Spine CT. sagittal plane, index 281. Bone window (WL 400, WW 1800). 512x789 px
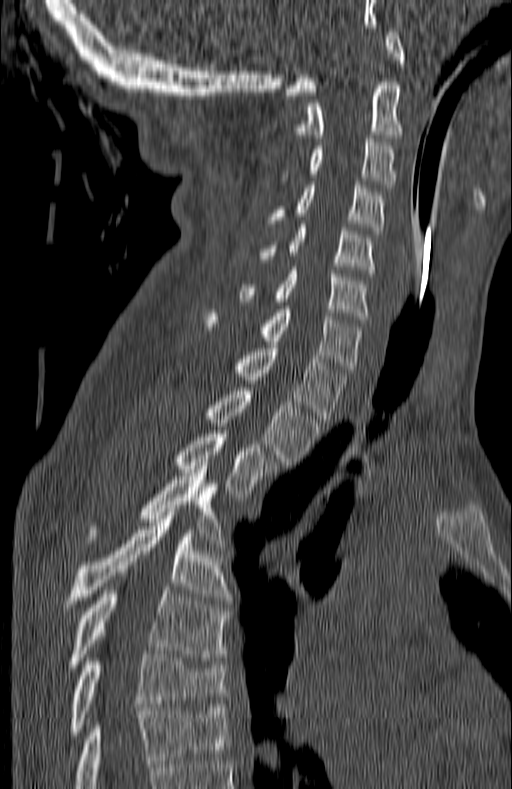

Boxes: x1 y1 x2 y2 (pixel coords, space-separated).
The highest labeled vertebra in this scan is C1; the lowest is T7.
C1: 285 32 404 95
C2: 297 82 404 138
C3: 281 135 395 187
C4: 268 185 384 234
C5: 258 224 375 273
C6: 240 270 367 323
C7: 206 306 361 372
T1: 234 345 347 419
T2: 206 388 318 465
T3: 174 434 276 497
T4: 89 469 222 539
T5: 63 512 230 611
T6: 69 587 227 667
T7: 69 654 225 735